CT, spine · sagittal view · 269x269 px · scan covers 6 annotated vertebrae
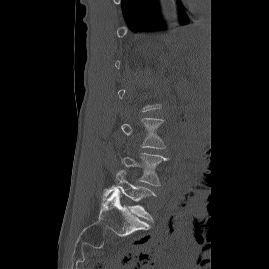

Bounding boxes as [x1, y1, x2, y2] in pixel coordinates. A vertebra is boxed only from the first to the last slice where its cross-section is at least a third of its largest; slices outside that range leave it without a box. Vertebrae labeled: L3 at [121, 118, 165, 148], L4 at [121, 153, 170, 185], L5 at [101, 170, 156, 222].